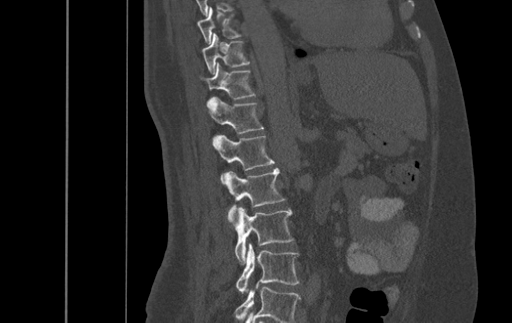

CT — sagittal view — bone-window reconstruction
Coordinates as <box>x1,y1,x2,y2</box>.
In this scan, the topmost labeled vertebra is T9 and the lowest is L4.
Vertebra bounding boxes:
- L4: <box>236,243,299,293</box>
- L3: <box>228,207,294,263</box>
- L2: <box>224,167,285,219</box>
- L1: <box>212,135,274,183</box>
- T12: <box>206,96,263,133</box>
- T11: <box>201,62,254,99</box>
- T10: <box>201,33,249,74</box>
- T9: <box>197,7,240,43</box>